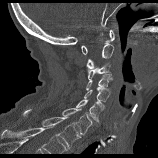

Computed tomography of the spine. image 158 mm wide. sagittal view

Box values are [left, top, right, bottom] in pixels.
{"vertebrae":{"C1":[81,30,115,54],"C2":[87,44,114,68],"C3":[87,63,110,81],"C4":[86,74,112,90],"C5":[84,88,109,101],"C6":[76,100,104,122],"C7":[62,108,92,134],"T1":[23,109,81,148]}}